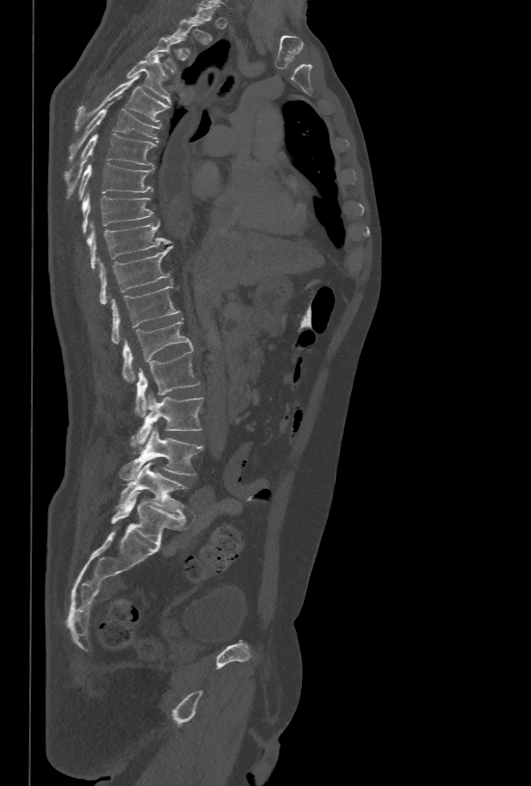

Computed tomography of the spine. sagittal view

Boxes: x1:y1:x2:y2 in pixels.
Not every vertebra on this slice has a box: a vertebra is boxed only from the first to the last slice where its cross-section is at least a third of its largest, and this slice is outside that range for at least one of them.
Vertebra bounding boxes:
- T4: 127:54:170:102
- T5: 76:75:169:129
- T6: 70:96:160:159
- T7: 64:133:156:196
- T8: 79:163:153:198
- T9: 82:192:153:233
- T10: 88:220:169:268
- T11: 100:247:170:304
- T12: 110:283:181:344
- L1: 122:319:192:382
- L2: 135:350:200:415
- L3: 137:393:203:442
- L4: 120:428:202:481
- L5: 116:462:187:514